Spine CT — sagittal reformat — image width 487 mm — 487x633 px
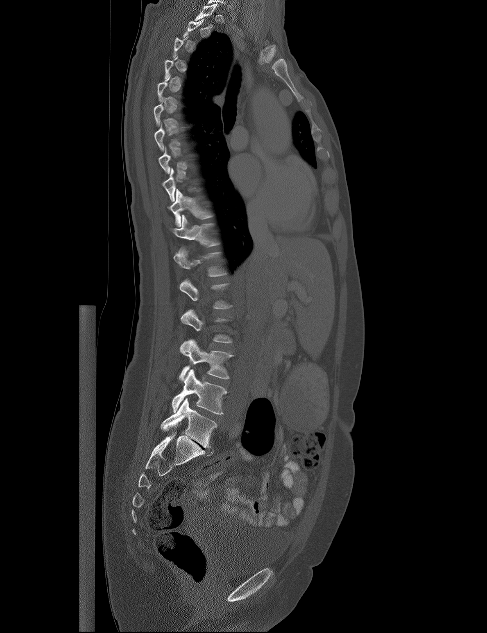
Box values are [left, top, right, bottom] in pixels.
Each vertebra is boxed only on the slices from the first to the last where its cross-section reaches a third of its largest, so a slice outside that range leaves it unboxed.
{"vertebrae":{"L5":[160,398,217,447],"L4":[172,369,227,414],"L3":[179,339,233,380],"L2":[180,309,232,342],"L1":[179,279,232,308],"T12":[173,245,227,276],"T11":[171,215,219,247],"T10":[168,189,212,226],"T8":[158,146,193,173]}}